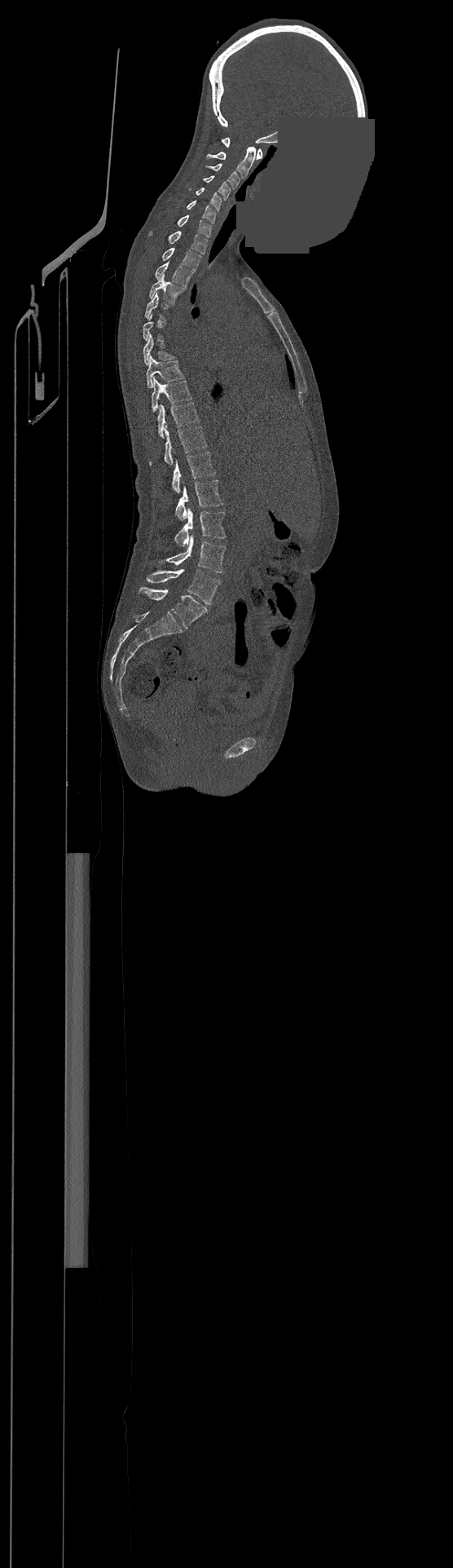 CT — the image is 500 mm wide — sagittal view — part of the image is a flat gray fill, not anatomy
Each vertebra maps to its box as [x1, y1, x2, y2], the pixel coordinates of its top-left and bottom-right corners.
A vertebra is boxed only from the first to the last slice where its cross-section is at least a third of its largest; slices outside that range leave it without a box.
In this scan, the topmost labeled vertebra is C1 and the lowest is L4.
{"vertebrae":{"C1":[221,138,262,159],"C2":[206,147,256,178],"C3":[206,164,240,188],"C4":[202,175,230,199],"C5":[189,188,221,211],"C6":[187,200,216,223],"C7":[178,214,211,237],"T1":[148,231,208,254],"T2":[162,248,200,271],"T3":[155,259,193,286],"T4":[149,274,185,303],"T7":[143,334,174,365],"T8":[147,356,184,387],"T9":[152,378,191,411],"T10":[157,403,199,437],"T11":[149,426,206,465],"T12":[173,452,216,492],"L1":[176,480,223,521],"L2":[175,508,226,546],"L3":[159,534,226,572],"L4":[147,568,220,604]}}